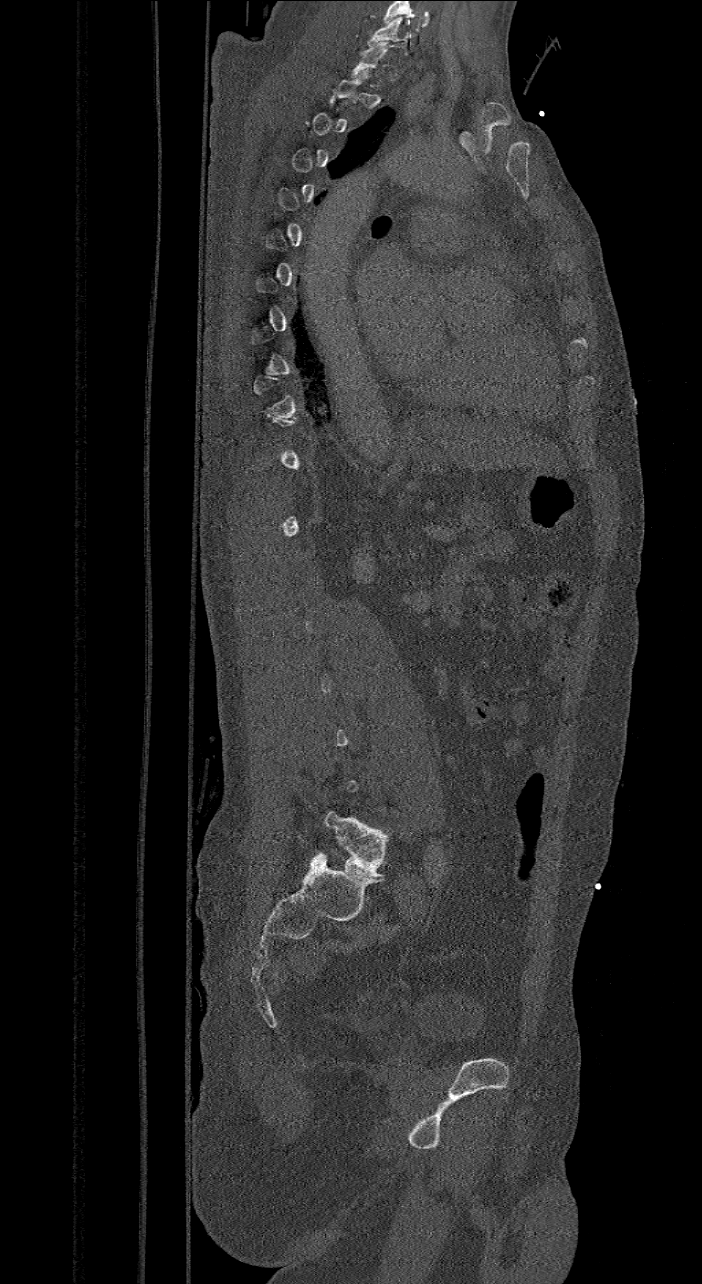

Spine computed tomography — sagittal view — image 421 mm wide — 702x1284 px. Boxes are given in columns x1, y1, x2, y2, the pixel coordinates of their top-left and bottom-right corners.
Each vertebra is boxed only on the slices from the first to the last where its cross-section reaches a third of its largest, so a slice outside that range leaves it unboxed.
The highest labeled vertebra in this scan is C7; the lowest is L6.
The labels name a sixth lumbar vertebra for this spine: L6, after L5.
| vertebra | x1 | y1 | x2 | y2 |
|---|---|---|---|---|
| C7 | 369 | 18 | 409 | 55 |
| L6 | 317 | 811 | 388 | 877 |